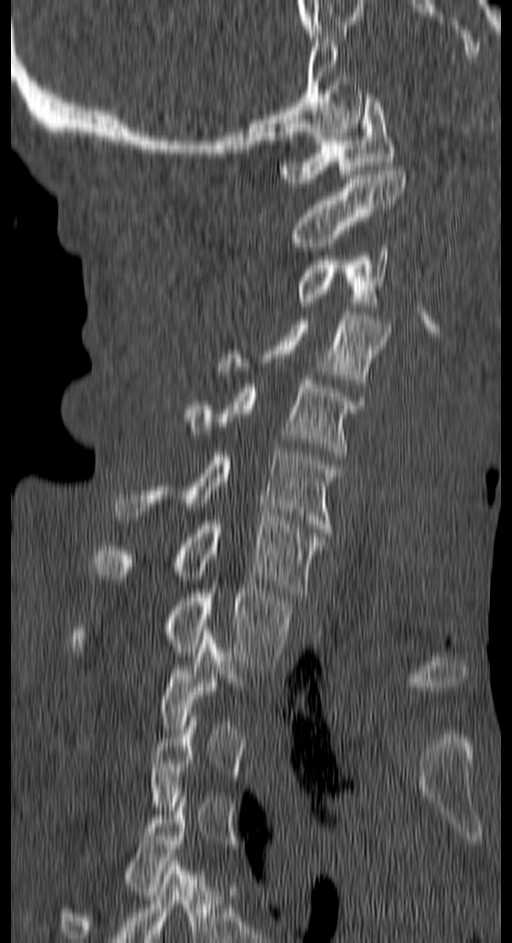
Computed tomography of the spine. sagittal view. bone-window reconstruction. 512x943 px

Boxes: x1:y1:x2:y2 in pixels. Not every vertebra on this slice has a box: a vertebra is boxed only from the first to the last slice where its cross-section is at least a third of its largest, and this slice is outside that range for at least one of them. Vertebrae labeled: T4 at 59:794:185:942, T1 at 73:585:289:665, C7 at 93:516:321:596, C6 at 114:448:335:532, C5 at 183:375:364:456, C4 at 218:311:390:383, C3 at 298:247:386:302, C2 at 291:166:406:251, C1 at 281:98:396:182.